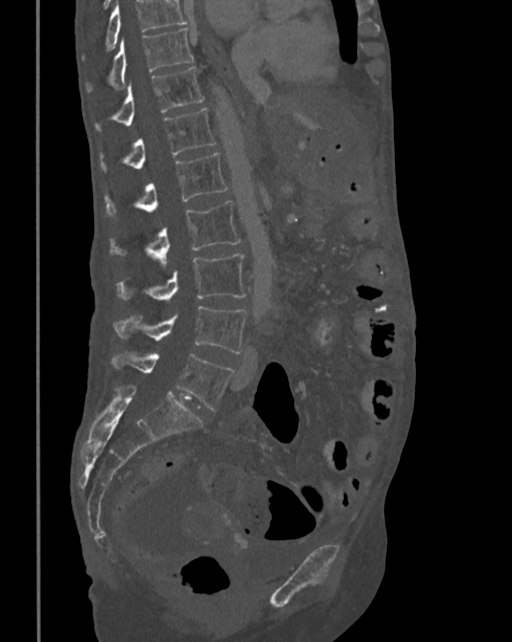

Spine CT. 342 mm image width. sagittal view. 512x642 px
No box is given to a vertebra that the top edge of the scan cuts off.
<vertebrae><v name="T10" x1="85" y1="25" x2="193" y2="92"/><v name="T11" x1="94" y1="66" x2="204" y2="131"/><v name="T12" x1="100" y1="108" x2="216" y2="172"/><v name="L1" x1="105" y1="153" x2="228" y2="218"/><v name="L2" x1="109" y1="201" x2="241" y2="264"/><v name="L3" x1="117" y1="254" x2="246" y2="301"/><v name="L4" x1="114" y1="306" x2="247" y2="353"/><v name="L5" x1="111" y1="352" x2="232" y2="411"/></vertebrae>